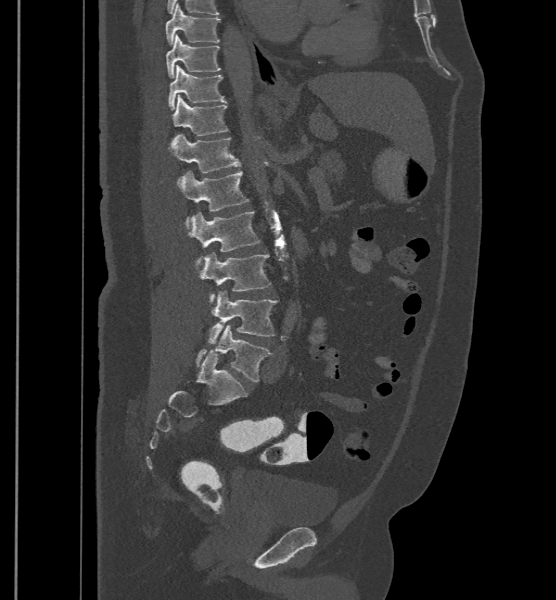
Spine computed tomography — sagittal view — Bone window (WL 400, WW 1800) — 556x600 px — the image is 500 mm wide. Box edges are left/top/right/bottom in pixels.
In these labels the spine has an L6, a sixth lumbar vertebra below L5.
| vertebra | x1 | y1 | x2 | y2 |
|---|---|---|---|---|
| T9 | 166 | 3 | 220 | 45 |
| T10 | 166 | 34 | 220 | 78 |
| T11 | 168 | 64 | 225 | 109 |
| T12 | 173 | 94 | 228 | 141 |
| L1 | 168 | 133 | 240 | 183 |
| L2 | 179 | 171 | 249 | 218 |
| L3 | 188 | 211 | 261 | 268 |
| L4 | 200 | 252 | 270 | 302 |
| L5 | 207 | 290 | 278 | 343 |
| L6 | 195 | 325 | 272 | 381 |